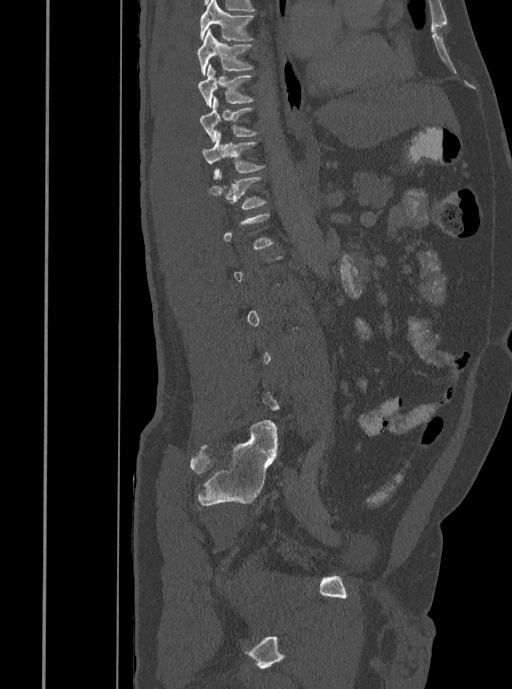

Spine CT. sagittal view. W/L 1800/400 HU. 512x689 px. Bounding boxes as [x1, y1, x2, y2] in pixel coordinates.
A vertebra gets a box only on the slices from the first to the last where its cross-section is at least a third of its largest; on a slice outside that range it gets none.
T7: [199, 0, 254, 41]
T8: [197, 28, 254, 75]
T9: [198, 63, 255, 107]
T10: [199, 96, 257, 142]
T11: [202, 132, 265, 179]
T12: [208, 169, 267, 209]